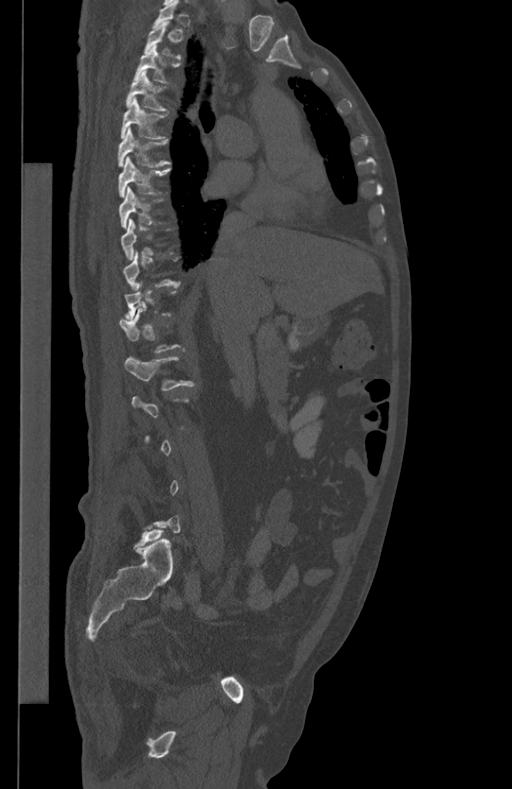
Spine computed tomography — sagittal view — Bone window (WL 400, WW 1800)
Not every vertebra on this slice has a box: a vertebra is boxed only from the first to the last slice where its cross-section is at least a third of its largest, and this slice is outside that range for at least one of them.
<vertebrae><v name="T3" x1="134" y1="46" x2="179" y2="83"/><v name="T4" x1="126" y1="71" x2="165" y2="110"/><v name="T5" x1="121" y1="98" x2="166" y2="139"/><v name="T6" x1="118" y1="128" x2="170" y2="166"/><v name="T7" x1="118" y1="156" x2="170" y2="196"/><v name="T8" x1="119" y1="187" x2="162" y2="227"/><v name="L1" x1="124" y1="357" x2="192" y2="391"/></vertebrae>